CT, spine · sagittal view · bone-window reconstruction · 207x253 px · 5 vertebrae labeled in this scan
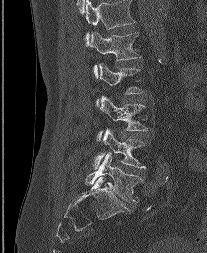 The highest labeled vertebra in this scan is L1; the lowest is L5.
<vertebrae><v name="L5" x1="85" y1="153" x2="142" y2="202"/><v name="L4" x1="94" y1="129" x2="146" y2="168"/><v name="L3" x1="97" y1="96" x2="147" y2="140"/><v name="L2" x1="96" y1="63" x2="142" y2="106"/><v name="L1" x1="89" y1="32" x2="140" y2="77"/></vertebrae>